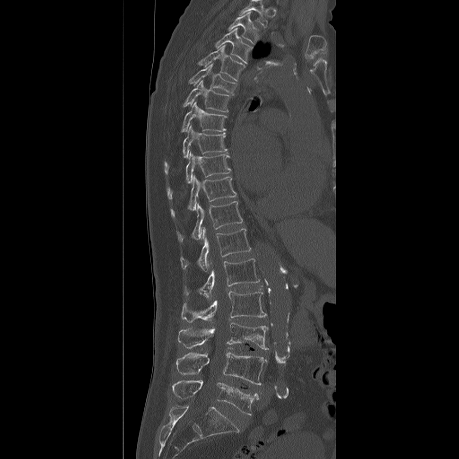
Computed tomography of the spine. sagittal view. Bone window (WL 400, WW 1800). the image is 459 mm wide. 459x459 px
Boxes: x1 y1 x2 y2 (pixel coords, space-separated).
Labels in this scan begin with T2 at the top and end with L5 at the bottom.
Vertebra bounding boxes:
- T2: 228 12 258 44
- T3: 216 28 251 63
- T4: 198 46 244 80
- T5: 189 63 236 95
- T6: 183 80 228 111
- T7: 181 101 225 131
- T8: 164 126 227 172
- T9: 166 152 230 197
- T10: 171 176 235 215
- T11: 176 201 242 240
- T12: 180 228 251 271
- L1: 184 258 259 299
- L2: 181 291 265 323
- L3: 177 322 267 349
- L4: 175 352 266 384
- L5: 172 380 258 414